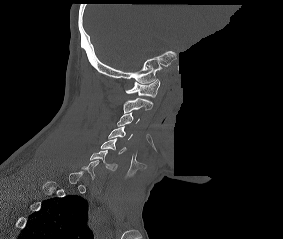
CT; sagittal view; bone window; 283x239 px; some of the image was removed or blocked out with constant pixels
Boxes are (x1, y1, x2, y2) in pixels. A vertebra gets a box only on the slices from the first to the last where its cross-section is at least a third of its largest; on a slice outside that range it gets none. Vertebrae labeled: C1 at (125, 79, 160, 97), C2 at (123, 97, 153, 113), C3 at (117, 112, 139, 126), C4 at (108, 126, 132, 139), C5 at (101, 138, 126, 154), C6 at (90, 150, 117, 170).